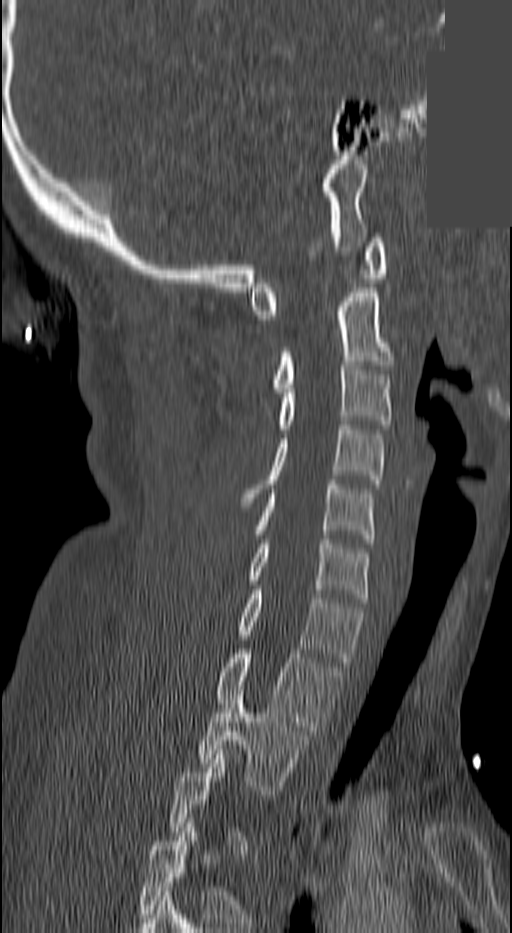

CT — sagittal view — some of the image was removed or blocked out with constant pixels. In the table, x1 and y1 are a box's top-left corner and x2 and y2 its bottom-right corner, in pixels.
Each vertebra is boxed only on the slices from the first to the last where its cross-section reaches a third of its largest, so a slice outside that range leaves it unboxed.
| vertebra | x1 | y1 | x2 | y2 |
|---|---|---|---|---|
| T2 | 199 | 690 | 308 | 794 |
| T1 | 217 | 649 | 340 | 735 |
| C7 | 235 | 590 | 362 | 666 |
| C6 | 250 | 539 | 370 | 602 |
| C5 | 254 | 480 | 373 | 543 |
| C4 | 243 | 425 | 384 | 502 |
| C3 | 280 | 361 | 392 | 433 |
| C2 | 272 | 288 | 395 | 392 |
| C1 | 250 | 238 | 388 | 319 |